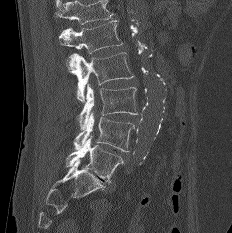
Computed tomography of the spine; sagittal view. Each box given as x1,y1,x2,y2.
Vertebrae that run past the top of the scan are left unlabeled.
Vertebra bounding boxes:
- L5: x1=66, y1=137, x2=123, y2=184
- L4: x1=73, y1=112, x2=135, y2=151
- L3: x1=77, y1=84, x2=137, y2=130
- L2: x1=66, y1=52, x2=133, y2=103
- L1: x1=59, y1=19, x2=122, y2=53